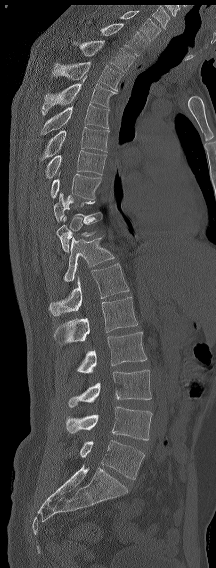

Computed tomography of the spine · sagittal view
Each vertebra maps to its box as [x1, y1, x2, y2], the pixel coordinates of its top-left and bottom-right corners.
A vertebra gets a box only on the slices from the first to the last where its cross-section is at least a third of its largest; on a slice outside that range it gets none.
This scan's labels start at C7 at the top and end at L6 at the bottom.
The labels name a sixth lumbar vertebra for this spine: L6, after L5.
{"vertebrae":{"C7":[120,11,160,40],"T1":[100,23,147,55],"T2":[73,40,134,71],"T3":[52,62,123,90],"T4":[41,75,116,115],"T5":[41,104,109,135],"T6":[39,127,109,162],"T7":[45,150,106,178],"T8":[50,173,101,199],"T11":[56,212,102,252],"T12":[63,237,114,281],"L1":[49,263,129,315],"L2":[53,297,137,346],"L3":[77,332,147,373],"L4":[68,370,151,407],"L5":[66,406,152,440],"L6":[80,440,144,479]}}